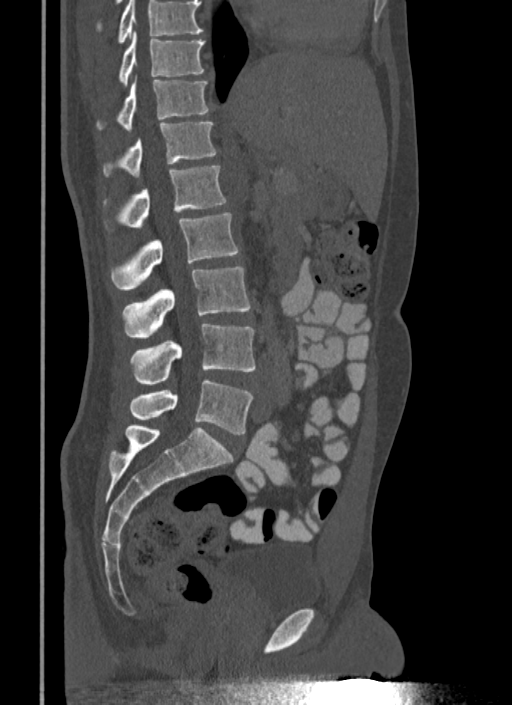 Spine CT; sagittal view; bone-window reconstruction
Box edges are left/top/right/bottom in pixels.
Vertebrae that run past the top of the scan are left unlabeled.
Vertebra bounding boxes:
- T10: left=117, top=32, right=205, bottom=86
- T11: left=96, top=80, right=211, bottom=130
- T12: left=102, top=122, right=216, bottom=177
- L1: left=102, top=166, right=226, bottom=231
- L2: left=111, top=212, right=238, bottom=290
- L3: left=122, top=267, right=250, bottom=338
- L4: left=129, top=324, right=255, bottom=385
- L5: left=129, top=379, right=253, bottom=434